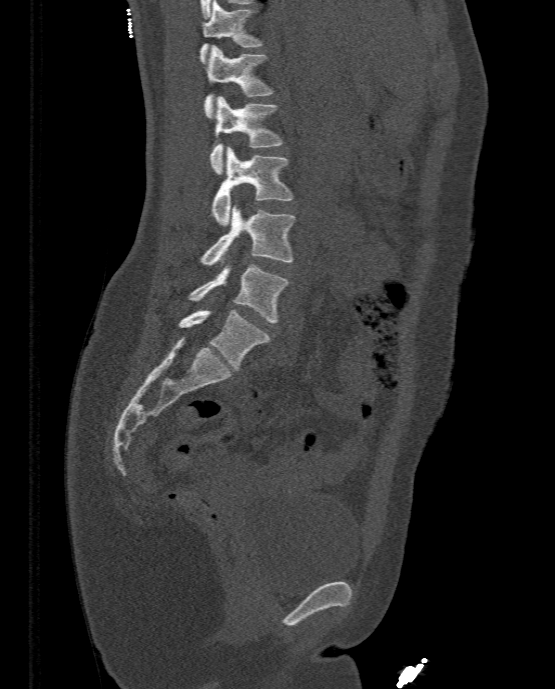
Spine CT; sagittal view; bone-window reconstruction; 555x689 px. Each box given as x1,y1,x2,y2.
T11: x1=199, y1=0, x2=261, y2=63
T12: x1=204, y1=45, x2=272, y2=119
L1: x1=209, y1=96, x2=282, y2=174
L2: x1=210, y1=147, x2=292, y2=225
L3: x1=202, y1=205, x2=295, y2=265
L4: x1=188, y1=263, x2=288, y2=323
L5: x1=179, y1=309, x2=270, y2=370